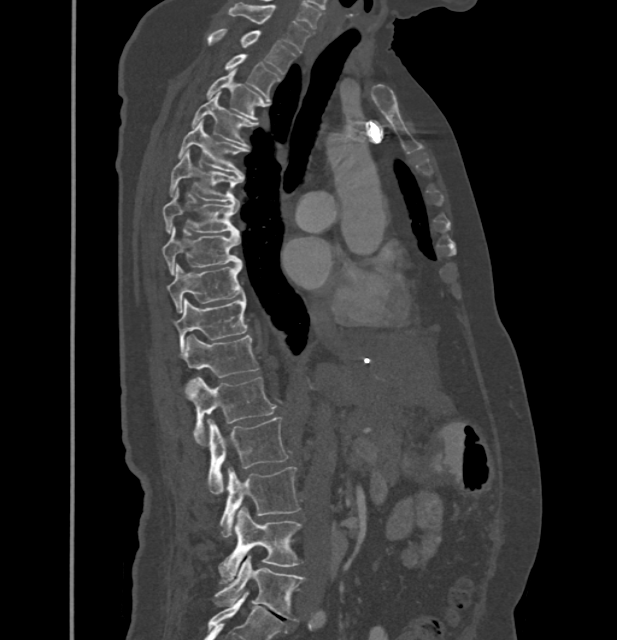

Spine CT — sagittal view — 617x640 px
Coordinates as <box>x1,y1,x2,y2</box>. In these labels the thoracic vertebrae end at T11, so L1 follows T11. 17 vertebrae labeled — C7 at <box>229,2,310,52</box>; T1 at <box>207,29,296,74</box>; T2 at <box>224,55,280,96</box>; T3 at <box>207,70,264,119</box>; T4 at <box>192,93,256,146</box>; T5 at <box>178,120,244,175</box>; T6 at <box>170,150,241,202</box>; T7 at <box>163,189,239,234</box>; T8 at <box>163,227,241,275</box>; T9 at <box>168,263,244,314</box>; T10 at <box>174,296,247,354</box>; T11 at <box>183,335,259,378</box>; L1 at <box>188,377,275,444</box>; L2 at <box>209,417,287,494</box>; L3 at <box>219,467,300,536</box>; L4 at <box>218,507,300,582</box>; L5 at <box>215,555,303,619</box>.